Computed tomography of the spine — the image spans 150 mm across — sagittal plane, index 235 — 512x943 px
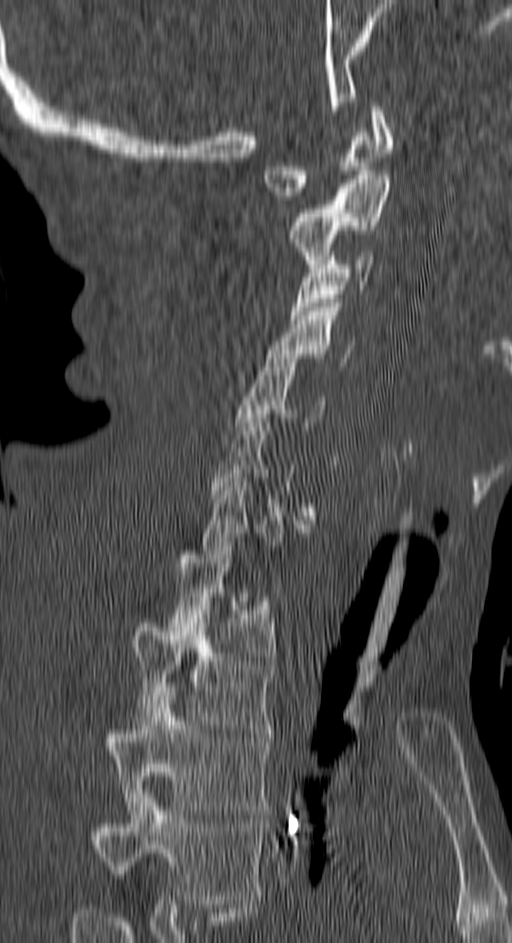
Each row gives a vertebra's box as x1, y1, x2, y2 in pixels: top-left corner, then bottom-right corner.
Each vertebra is boxed only on the slices from the first to the last where its cross-section reaches a third of its largest, so a slice outside that range leaves it unboxed.
Labels in this scan begin with C1 at the top and end with T4 at the bottom.
| vertebra | x1 | y1 | x2 | y2 |
|---|---|---|---|---|
| T4 | 90 | 789 | 263 | 904 |
| T3 | 104 | 691 | 270 | 814 |
| T2 | 131 | 614 | 272 | 733 |
| T1 | 168 | 542 | 274 | 660 |
| C7 | 203 | 469 | 308 | 554 |
| C5 | 235 | 354 | 324 | 430 |
| C4 | 266 | 303 | 355 | 366 |
| C3 | 291 | 247 | 372 | 319 |
| C2 | 288 | 175 | 389 | 268 |
| C1 | 264 | 102 | 393 | 200 |